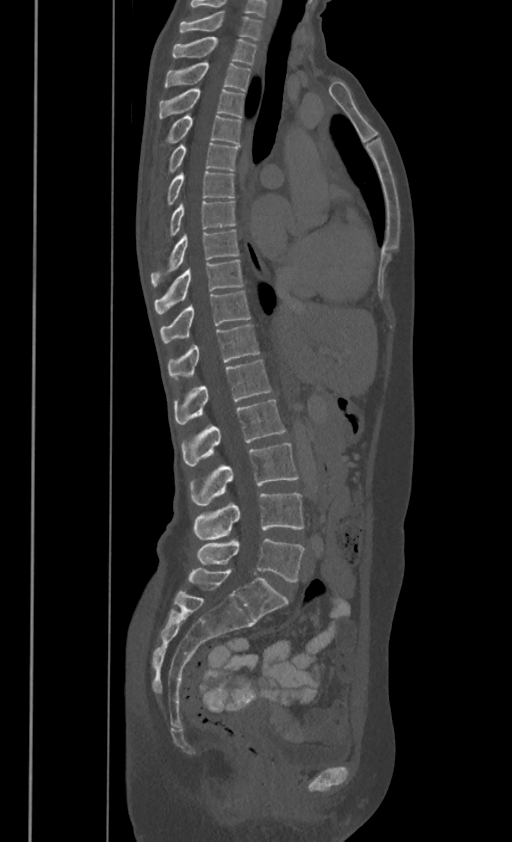

CT. sagittal view

Box values are [left, top, right, bottom] in pixels.
In these labels the thoracic vertebrae end at T11, so L1 follows T11.
{"vertebrae":{"L5":[197,538,304,582],"L4":[193,493,304,540],"L3":[191,443,297,505],"L2":[182,398,285,466],"L1":[175,359,271,424],"T11":[168,324,259,377],"T10":[160,290,250,340],"T9":[155,258,243,312],"T8":[151,229,239,286],"T7":[168,199,235,237],"T6":[167,170,235,204],"T5":[168,142,238,172],"T4":[164,113,240,142],"T3":[159,87,243,117],"T2":[164,61,250,90],"T1":[172,36,256,63],"C7":[179,11,261,38]}}